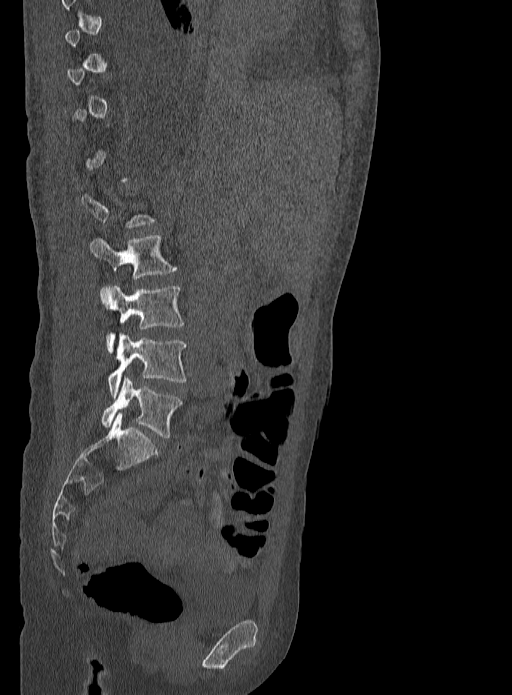 CT, spine. sagittal view. bone window. 512x695 px
Boxes below are [x1, y1, x2, y2] in pixels.
Each vertebra is boxed only on the slices from the first to the last where its cross-section reaches a third of its largest, so a slice outside that range leaves it unboxed.
{"vertebrae":{"L2":[90,235,177,279],"L3":[100,286,185,353],"L4":[107,334,186,396],"L5":[101,377,183,437]}}